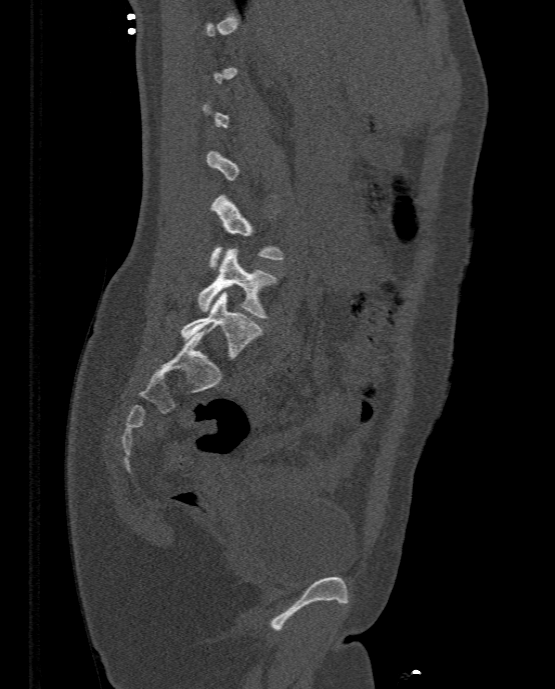 Spine computed tomography. 333 mm across the image. sagittal view. bone-window reconstruction. Each box given as x1,y1,x2,y2.
A vertebra gets a box only on the slices from the first to the last where its cross-section is at least a third of its largest; on a slice outside that range it gets none.
| vertebra | x1 | y1 | x2 | y2 |
|---|---|---|---|---|
| L5 | 181 | 291 | 262 | 359 |
| L4 | 198 | 248 | 275 | 318 |